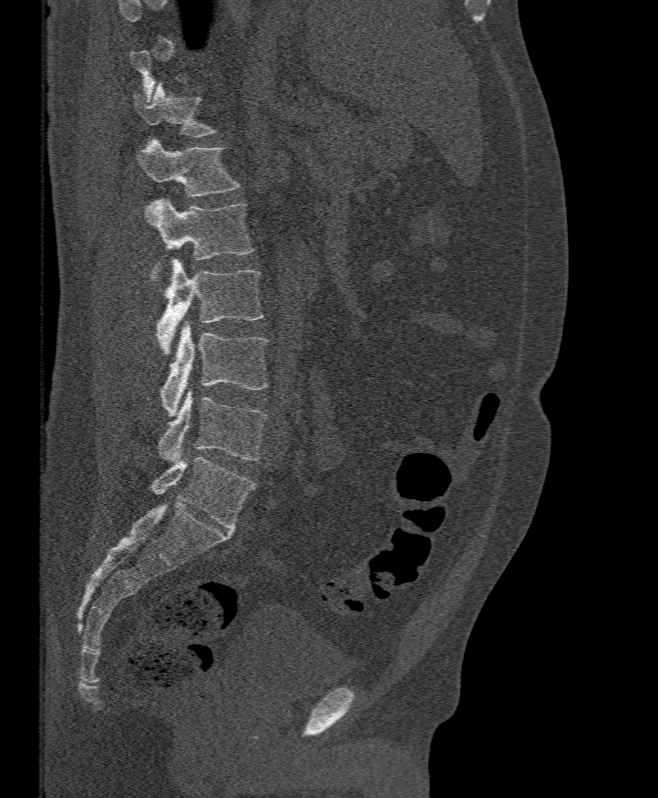
Computed tomography of the spine — sagittal view — bone window

Coordinates as <box>x1,y1,x2,y2</box>.
A vertebra is boxed only from the first to the last slice where its cross-section is at least a third of its largest; slices outside that range leave it without a box.
T12: <box>132,83,218,137</box>
L1: <box>136,138,241,196</box>
L2: <box>145,198,254,286</box>
L3: <box>157,258,264,354</box>
L4: <box>159,320,268,416</box>
L5: <box>158,390,268,461</box>